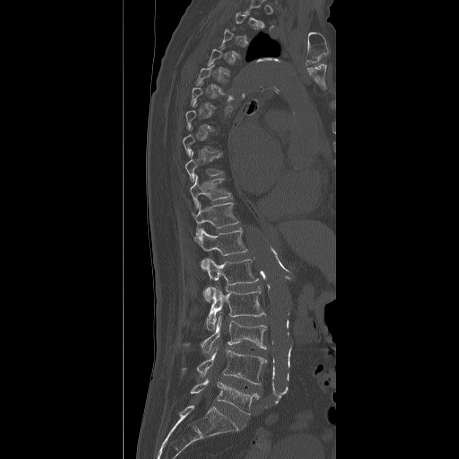 Spine CT. 459 mm image width. sagittal view. bone-window reconstruction
Box edges are left/top/right/bottom in pixels.
A vertebra gets a box only on the slices from the first to the last where its cross-section is at least a third of its largest; on a slice outside that range it gets none.
L5: left=190, top=380, right=258, bottom=414
L4: left=181, top=348, right=266, bottom=384
L3: left=184, top=314, right=266, bottom=355
L2: left=206, top=285, right=264, bottom=330
L1: left=201, top=257, right=258, bottom=301
T12: left=193, top=229, right=247, bottom=255
T11: left=191, top=203, right=238, bottom=238
T10: left=189, top=175, right=230, bottom=207
T9: left=185, top=152, right=223, bottom=181